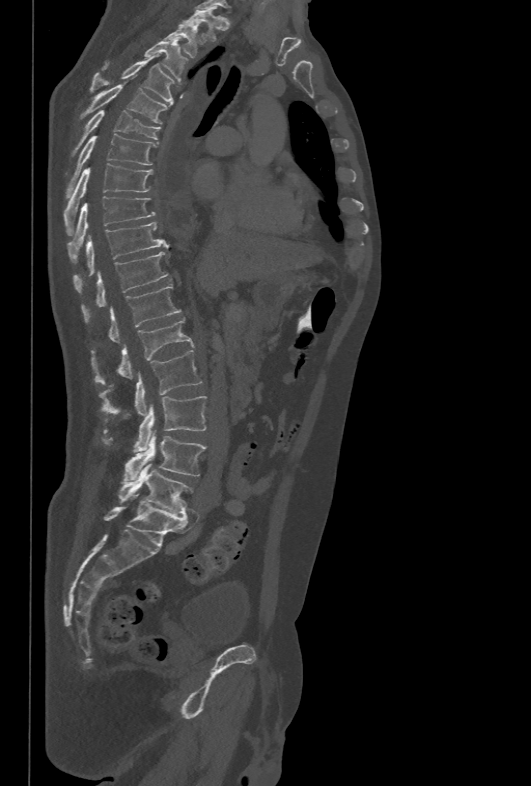 Spine CT — sagittal view
Boxes are (x1, y1, x2, y2) in pixels.
T1: (184, 9, 219, 41)
T2: (162, 24, 201, 57)
T3: (105, 36, 187, 81)
T4: (90, 55, 174, 104)
T5: (79, 84, 167, 124)
T6: (72, 109, 160, 155)
T7: (66, 134, 156, 197)
T8: (64, 163, 153, 234)
T9: (66, 196, 155, 263)
T10: (73, 222, 168, 292)
T11: (81, 252, 169, 323)
T12: (109, 285, 182, 343)
L1: (91, 319, 193, 381)
L2: (100, 350, 202, 415)
L3: (104, 396, 206, 451)
L4: (123, 430, 205, 481)
L5: (119, 464, 192, 515)